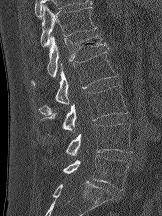
Computed tomography of the spine · sagittal reformat
Box edges are left/top/right/bottom in pixels.
Vertebra bounding boxes:
- T12: left=40, top=5, right=97, bottom=48
- L1: left=31, top=35, right=108, bottom=85
- L2: left=38, top=50, right=117, bottom=115
- L3: left=40, top=85, right=128, bottom=130
- L4: left=65, top=123, right=132, bottom=155
- L5: left=62, top=155, right=128, bottom=190